CT; sagittal view; bone-window reconstruction; 768x1012 px; scan covers 9 annotated vertebrae
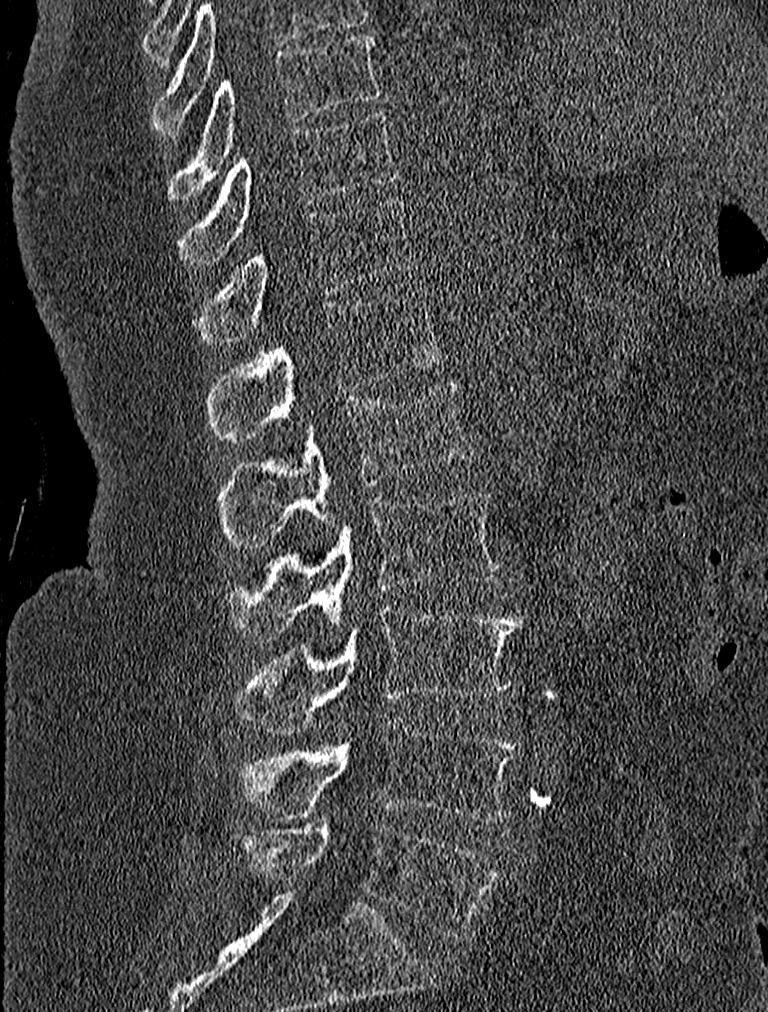
Box values are [left, top, right, bottom] in pixels.
{"vertebrae":{"L5":[239,821,499,938],"L4":[239,722,520,820],"L3":[236,604,522,734],"L2":[225,490,502,640],"L1":[219,379,471,546],"T12":[209,288,444,439],"T11":[195,199,417,345],"T10":[178,111,400,262],"T9":[168,33,380,201]}}